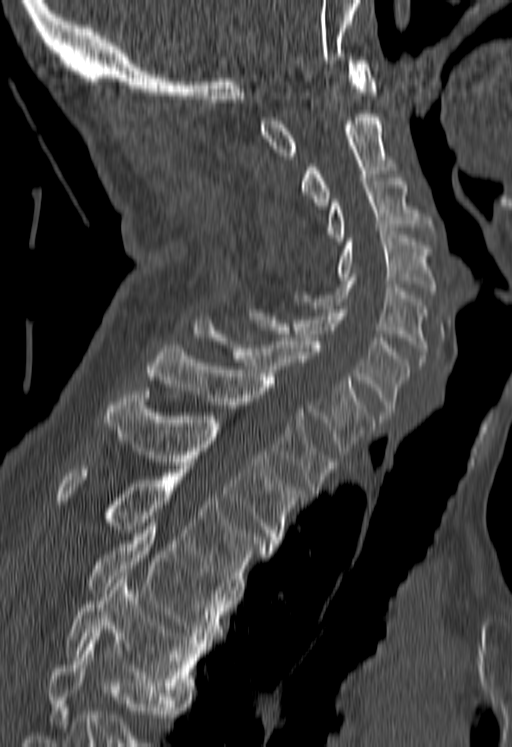 CT, spine — sagittal reformat — bone window — 512x747 px — 180 mm wide

Each vertebra maps to its box as [x1, y1, x2, y2], the pixel coordinates of its top-left and bottom-right corners.
Where the bottom of the scan cuts through a vertebra, that vertebra gets no label or box.
{"vertebrae":{"T5":[65,572,205,696],"T4":[86,526,230,643],"T3":[55,466,273,593],"T2":[103,391,304,547],"T1":[146,345,336,493],"C7":[192,320,373,454],"C6":[245,302,410,419],"C5":[293,277,427,365],"C4":[337,231,435,294],"C3":[328,178,432,241],"C2":[302,114,395,209],"C1":[260,60,376,159]}}